CT spine · sagittal plane, index 119 · W/L 1800/400 HU
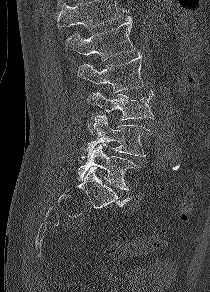

Where the top of the scan cuts through a vertebra, that vertebra gets no label or box.
<vertebrae><v name="L1" x1="65" y1="16" x2="135" y2="60"/><v name="L2" x1="77" y1="52" x2="146" y2="92"/><v name="L3" x1="87" y1="90" x2="154" y2="120"/><v name="L4" x1="87" y1="115" x2="153" y2="158"/><v name="L5" x1="76" y1="144" x2="137" y2="190"/></vertebrae>